Spine computed tomography — sagittal reformat — Bone window (WL 400, WW 1800)
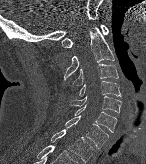 Coordinates as <box>x1,y1,x2,y2</box>.
Vertebra bounding boxes:
- C1: <box>61,24,109,47</box>
- C2: <box>63,26,115,82</box>
- C3: <box>72,63,118,86</box>
- C4: <box>78,81,121,96</box>
- C5: <box>70,95,121,113</box>
- C6: <box>74,104,116,132</box>
- C7: <box>65,116,108,148</box>
- T1: <box>50,129,93,162</box>